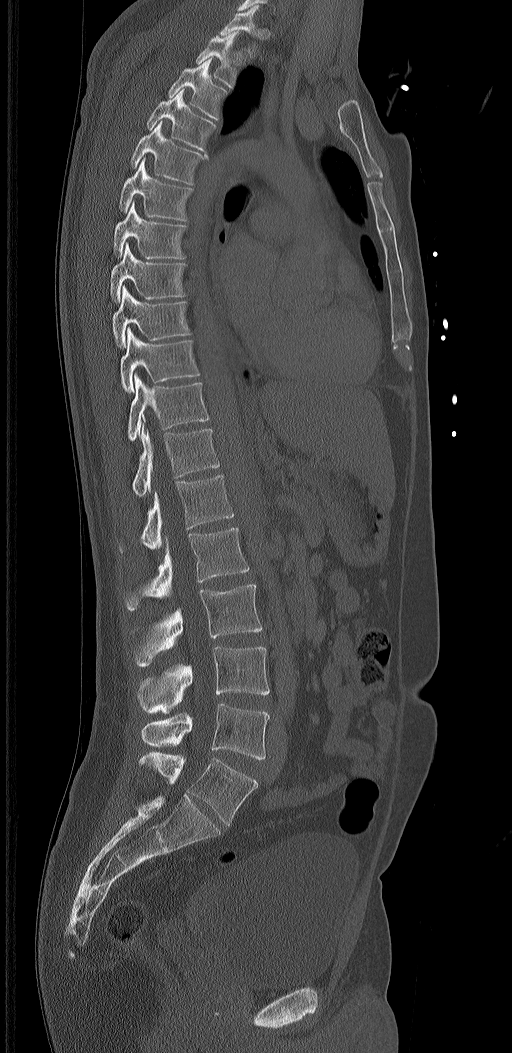 CT spine · sagittal view
Columns x1, y1, x2, y2 give each box's top-left and bottom-right pixels.
The labels name a sixth lumbar vertebra for this spine: L6, after L5.
| vertebra | x1 | y1 | x2 | y2 |
|---|---|---|---|---|
| T1 | 220 | 5 | 259 | 57 |
| T2 | 196 | 31 | 241 | 88 |
| T3 | 168 | 58 | 227 | 120 |
| T4 | 146 | 89 | 217 | 151 |
| T5 | 130 | 121 | 209 | 185 |
| T6 | 119 | 157 | 193 | 220 |
| T7 | 113 | 200 | 187 | 259 |
| T8 | 109 | 242 | 185 | 302 |
| T9 | 112 | 285 | 190 | 348 |
| T10 | 120 | 327 | 199 | 393 |
| T11 | 128 | 373 | 209 | 441 |
| T12 | 132 | 423 | 219 | 497 |
| L1 | 119 | 476 | 233 | 551 |
| L2 | 124 | 528 | 249 | 611 |
| L3 | 132 | 584 | 262 | 667 |
| L4 | 138 | 647 | 270 | 713 |
| L5 | 141 | 703 | 270 | 759 |
| L6 | 138 | 752 | 257 | 825 |